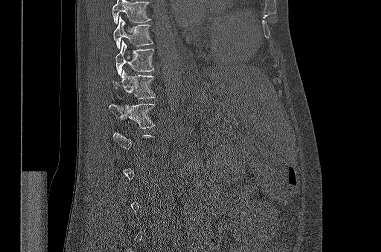
CT, spine; sagittal reformat; bone-window reconstruction
Each vertebra maps to its box as [x1, y1, x2, y2], the pixel coordinates of its top-left and bottom-right corners.
Each vertebra is boxed only on the slices from the first to the last where its cross-section reaches a third of its largest, so a slice outside that range leaves it unboxed.
Vertebrae that run past the top of the scan are left unlabeled.
{"vertebrae":{"T12":[109,103,155,128],"T11":[113,70,155,98],"T10":[115,40,154,75],"T9":[113,16,152,48]}}